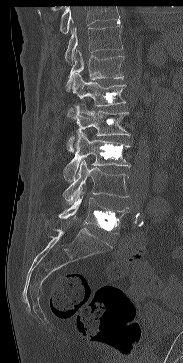
Computed tomography of the spine; sagittal reformat; W/L 1800/400 HU; the image spans 183 mm across; 183x363 px
Each box is [x1, y1, x2, y2] in pixels: top-left corner, then bottom-right corner.
Where the top of the scan cuts through a vertebra, that vertebra gets no label or box.
{"vertebrae":{"T11":[64,21,123,61],"T12":[66,50,124,91],"L1":[67,74,125,117],"L2":[67,104,130,152],"L3":[63,132,130,181],"L4":[62,160,128,203],"L5":[58,191,128,234]}}